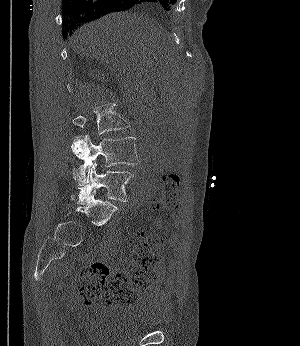

Computed tomography of the spine · sagittal view · bone-window reconstruction · 300x346 px
Boxes below are [x1, y1, x2, y2] in pixels.
{"vertebrae":{"L3":[73,103,130,134],"L4":[71,135,140,185],"L5":[72,162,133,204]}}